Spine computed tomography. sagittal plane, index 276. 409 mm image width. 10 vertebrae labeled in this scan
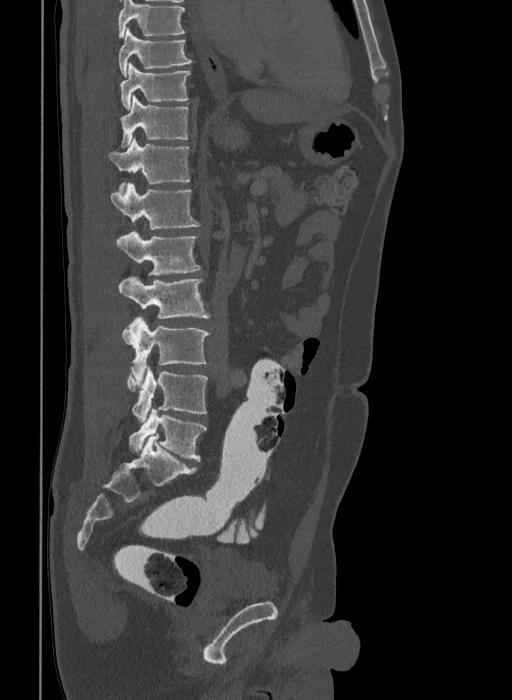 Boxes below are [x1, y1, x2, y2] in pixels.
The highest labeled vertebra in this scan is T9; the lowest is L6.
The labels name a sixth lumbar vertebra for this spine: L6, after L5.
{"vertebrae":{"T9":[119,28,192,77],"T10":[120,63,190,109],"T11":[121,96,188,147],"T12":[109,137,190,189],"L1":[110,183,200,229],"L2":[116,231,202,274],"L3":[119,275,209,318],"L4":[122,317,210,384],"L5":[126,367,208,421],"L6":[129,408,207,461]}}